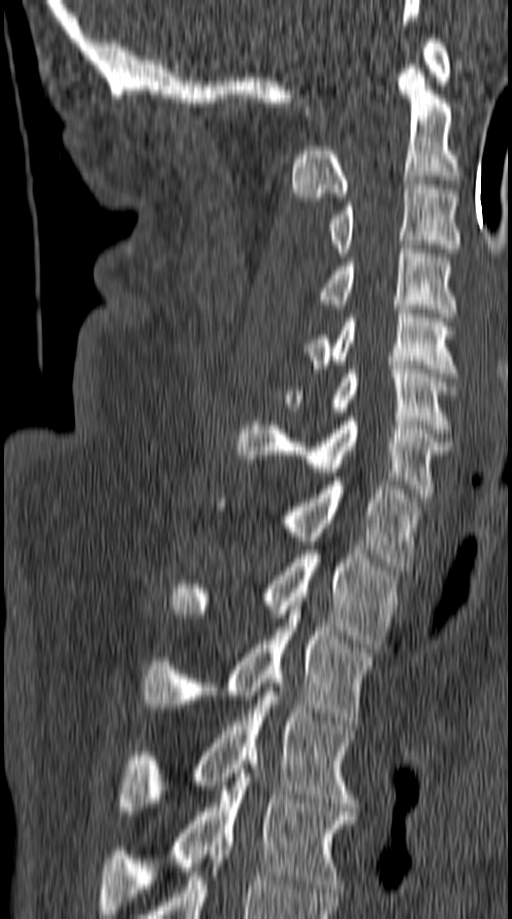

CT. sagittal view. Each box given as x1,y1,x2,y2. 12 vertebrae labeled — C1 at x1=302, y1=34, x2=451, y2=119; C2 at x1=291, y1=64, x2=461, y2=201; C3 at x1=331, y1=185, x2=461, y2=257; C4 at x1=317, y1=249, x2=454, y2=317; C5 at x1=304, y1=305, x2=458, y2=377; C6 at x1=285, y1=365, x2=455, y2=433; C7 at x1=235, y1=417, x2=450, y2=502; T1 at x1=217, y1=481, x2=423, y2=570; T2 at x1=170, y1=550, x2=395, y2=652; T3 at x1=142, y1=610, x2=375, y2=725; T4 at x1=118, y1=687, x2=358, y2=815; T5 at x1=98, y1=760, x2=355, y2=914.